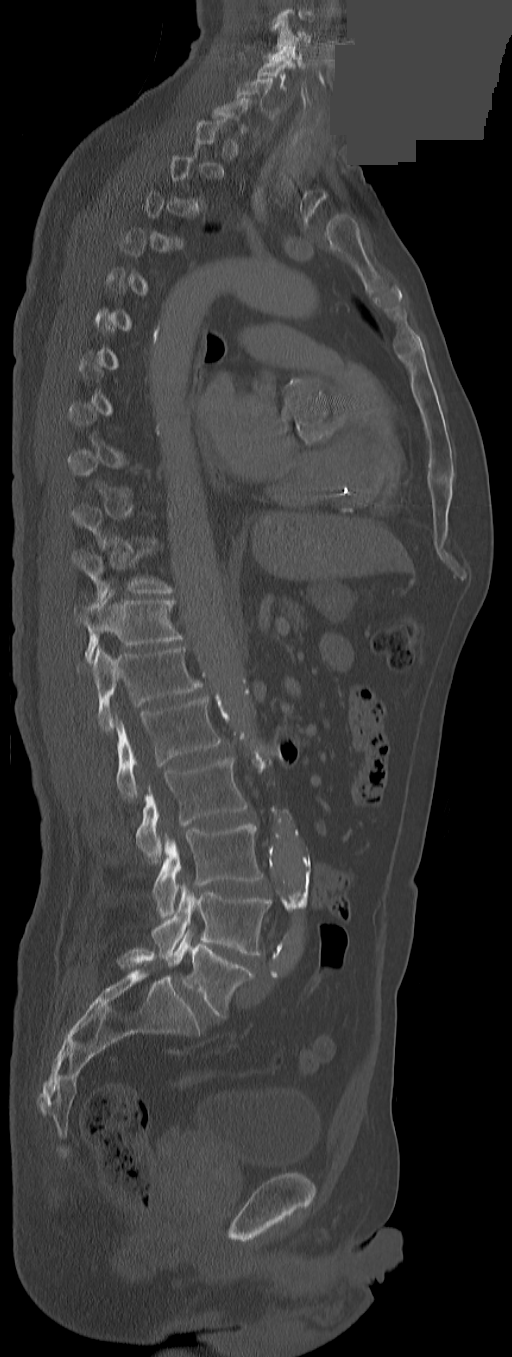
CT — sagittal view — a region is masked with a constant gray value
Each box given as x1,y1,x2,y2.
A vertebra is boxed only from the first to the last slice where its cross-section is at least a third of its largest; slices outside that range leave it without a box.
In this scan, the topmost labeled vertebra is C3 and the lowest is L5.
These labels give the spine a thirteenth thoracic vertebra: T13 sits between T12 and L1.
Vertebra bounding boxes:
- C3: x1=276, y1=19, x2=311, y2=49
- C5: x1=257, y1=58, x2=295, y2=90
- C6: x1=236, y1=78, x2=272, y2=112
- T11: x1=73, y1=539, x2=172, y2=600
- T12: x1=74, y1=590, x2=182, y2=663
- T13: x1=78, y1=646, x2=202, y2=732
- L1: x1=115, y1=696, x2=221, y2=800
- L2: x1=136, y1=757, x2=247, y2=864
- L3: x1=152, y1=824, x2=263, y2=918
- L4: x1=152, y1=884, x2=270, y2=960
- L5: x1=168, y1=931, x2=253, y2=1017